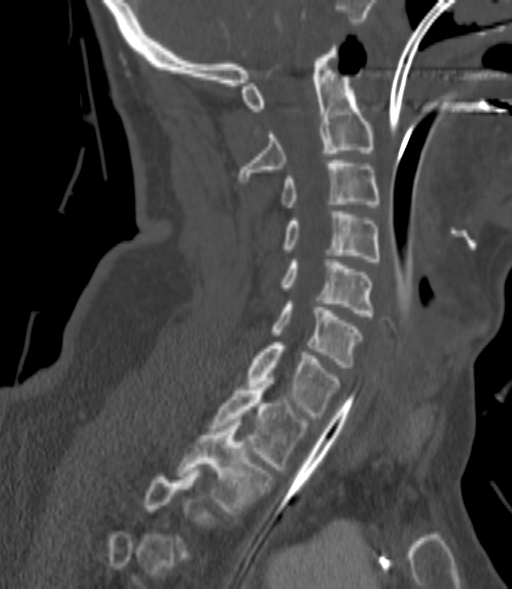
CT, spine; sagittal view

Bounding boxes as [x1, y1, x2, y2] in pixel coordinates.
A vertebra gets a box only on the slices from the first to the last where its cross-section is at least a third of its largest; on a slice outside that range it gets none.
C2: [239, 45, 374, 181]
C3: [282, 160, 379, 207]
C4: [282, 211, 379, 261]
C5: [280, 262, 374, 316]
C6: [272, 301, 361, 367]
C7: [247, 342, 340, 418]
T1: [211, 378, 307, 469]
T2: [177, 419, 271, 514]